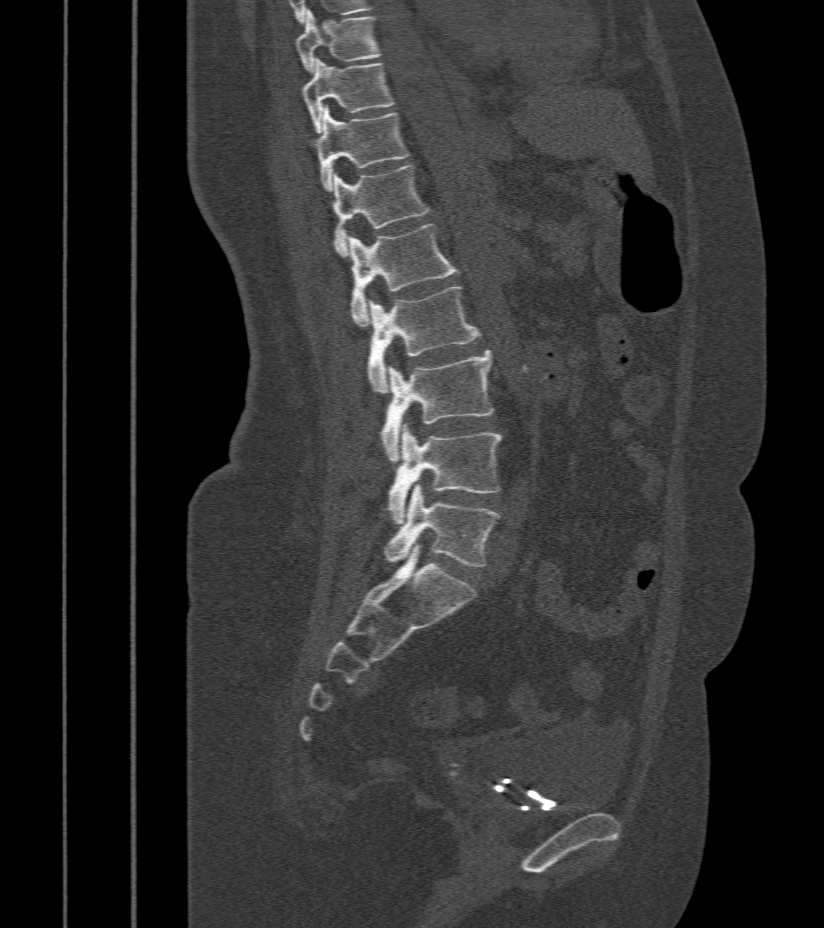
Spine CT — sagittal view — W/L 1800/400 HU

<vertebrae><v name="T9" x1="296" y1="11" x2="380" y2="74"/><v name="T10" x1="303" y1="59" x2="395" y2="132"/><v name="T11" x1="315" y1="107" x2="409" y2="191"/><v name="T12" x1="332" y1="165" x2="430" y2="256"/><v name="L1" x1="348" y1="225" x2="459" y2="326"/><v name="L2" x1="365" y1="287" x2="480" y2="392"/><v name="L3" x1="380" y1="351" x2="495" y2="462"/><v name="L4" x1="386" y1="425" x2="501" y2="524"/><v name="L5" x1="383" y1="485" x2="500" y2="566"/></vertebrae>